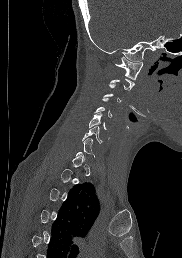
CT. sagittal view. 182 mm across the image. Columns x1, y1, x2, y2 give each box's top-left and bottom-right pixels.
A vertebra gets a box only on the slices from the first to the last where its cross-section is at least a third of its largest; on a slice outside that range it gets none.
| vertebra | x1 | y1 | x2 | y2 |
|---|---|---|---|---|
| C1 | 115 | 57 | 143 | 79 |
| C3 | 103 | 84 | 121 | 102 |
| C4 | 95 | 98 | 113 | 117 |
| C5 | 89 | 112 | 107 | 129 |
| C6 | 81 | 126 | 102 | 143 |